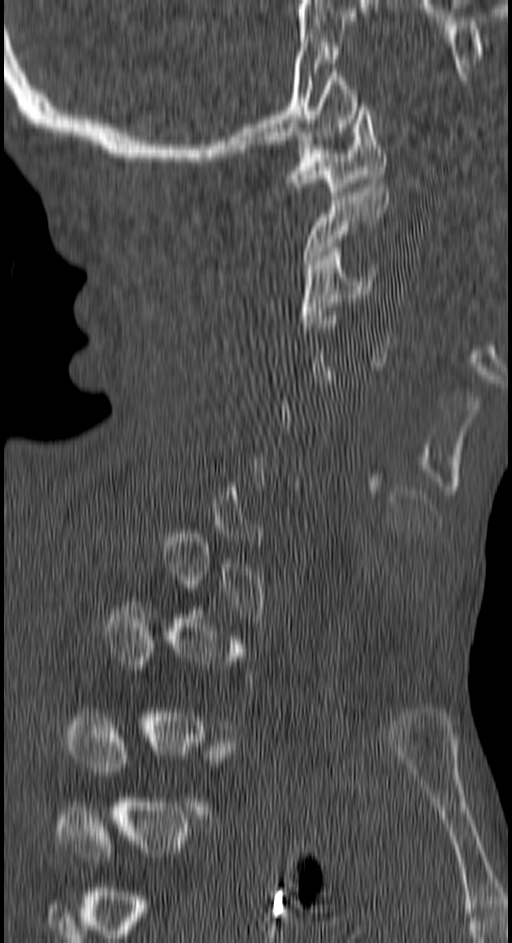
Computed tomography of the spine · sagittal view

Not every vertebra on this slice has a box: a vertebra is boxed only from the first to the last slice where its cross-section is at least a third of its largest, and this slice is outside that range for at least one of them.
<vertebrae><v name="C1" x1="288" y1="102" x2="386" y2="195"/><v name="C2" x1="303" y1="183" x2="389" y2="268"/><v name="C3" x1="301" y1="247" x2="376" y2="328"/></vertebrae>